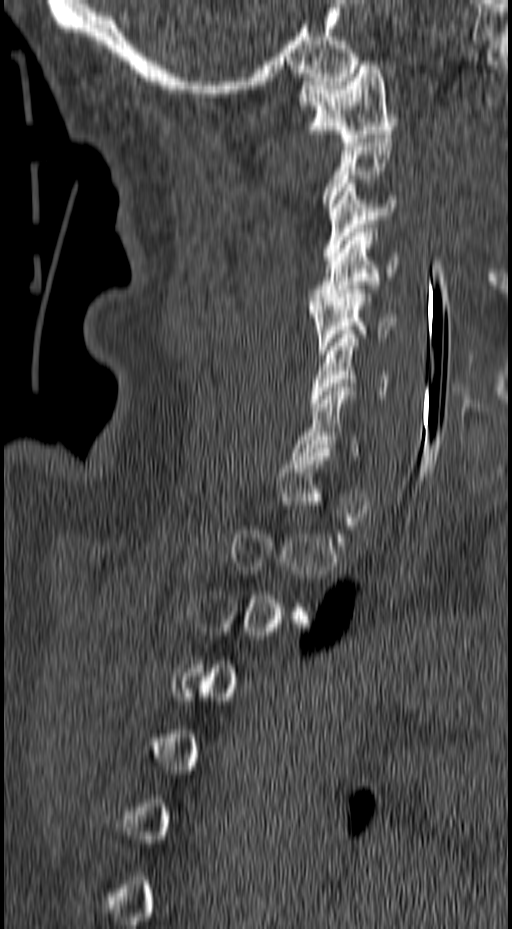

CT spine — sagittal view — 512x929 px — image 157 mm wide

Boxes: x1:y1:x2:y2 in pixels.
Not every vertebra on this slice has a box: a vertebra is boxed only from the first to the last slice where its cross-section is at least a third of its largest, and this slice is outside that range for at least one of them.
Vertebra bounding boxes:
- C7: 291:387:358:460
- C6: 310:334:388:407
- C5: 309:285:397:354
- C4: 309:228:398:305
- C3: 322:183:398:260
- C1: 297:61:398:142